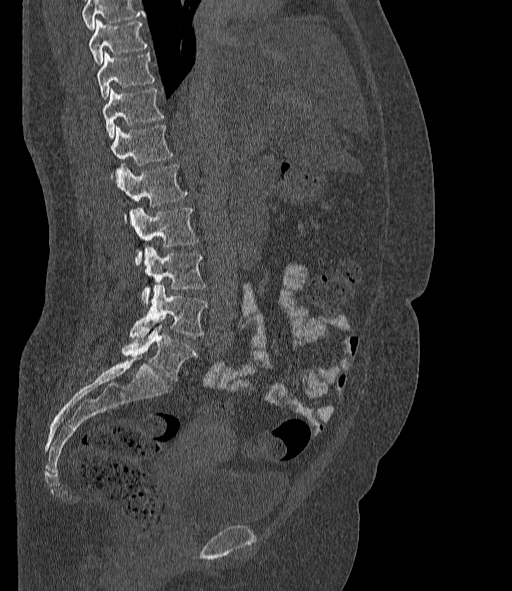 CT spine; sagittal view; the image spans 377 mm across. Boxes: x1:y1:x2:y2 in pixels.
A vertebra cut off by the top edge of the scan is not labeled and has no box.
The labels name a sixth lumbar vertebra for this spine: L6, after L5.
T10: 89:20:147:64
T11: 98:52:155:99
T12: 103:88:163:139
L1: 111:125:173:180
L2: 118:164:188:223
L3: 130:208:198:265
L4: 141:247:207:305
L5: 130:284:208:336
L6: 122:322:197:381